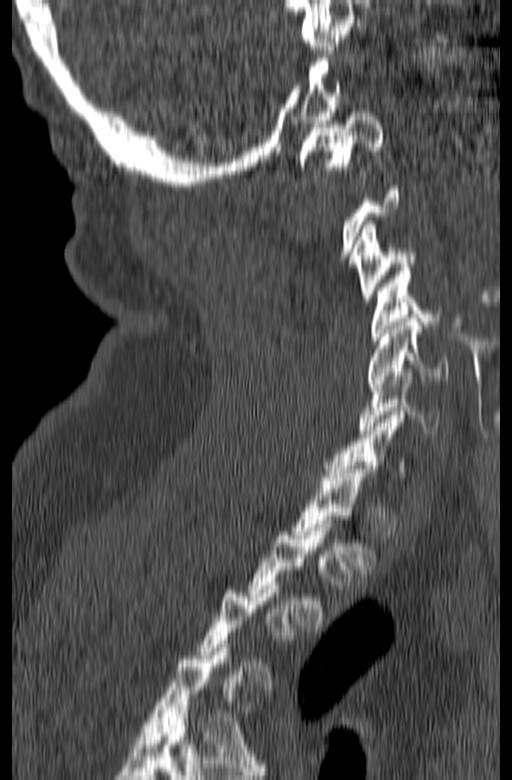

CT, spine. 165 mm across the image. sagittal view. 512x780 px
Boxes below are [x1, y1, x2, y2] in pixels.
A vertebra gets a box only on the slices from the first to the last where its cross-section is at least a third of its largest; on a slice outside that range it gets none.
{"vertebrae":{"C1":[298,109,384,177],"C3":[352,221,416,302],"C4":[370,268,437,340],"C5":[367,318,448,387],"C6":[358,368,439,433]}}